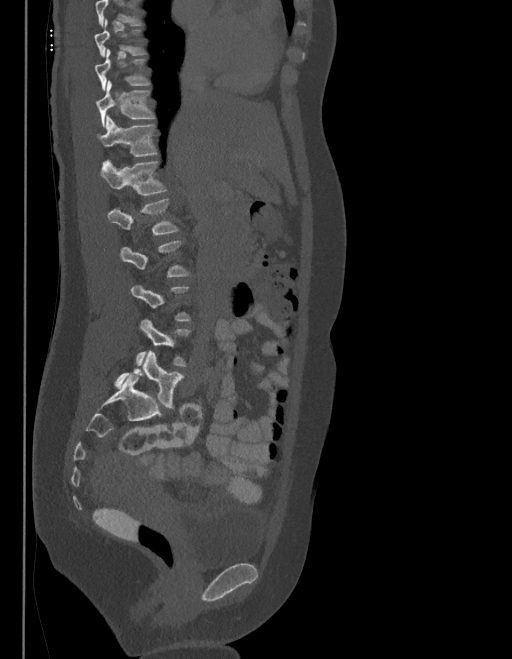
Spine computed tomography; image 403 mm wide; sagittal view
Each box is [x1, y1, x2, y2] in pixels: top-left corner, then bottom-right corner.
A vertebra gets a box only on the slices from the first to the last where its cross-section is at least a third of its largest; on a slice outside that range it gets none.
The labels name a sixth lumbar vertebra for this spine: L6, after L5.
{"vertebrae":{"L6":[114,351,182,407],"L2":[107,199,177,235],"L1":[100,162,164,196],"T12":[98,117,155,156],"T11":[95,81,153,126]}}